Computed tomography of the spine — sagittal view — 11 vertebrae labeled in this scan
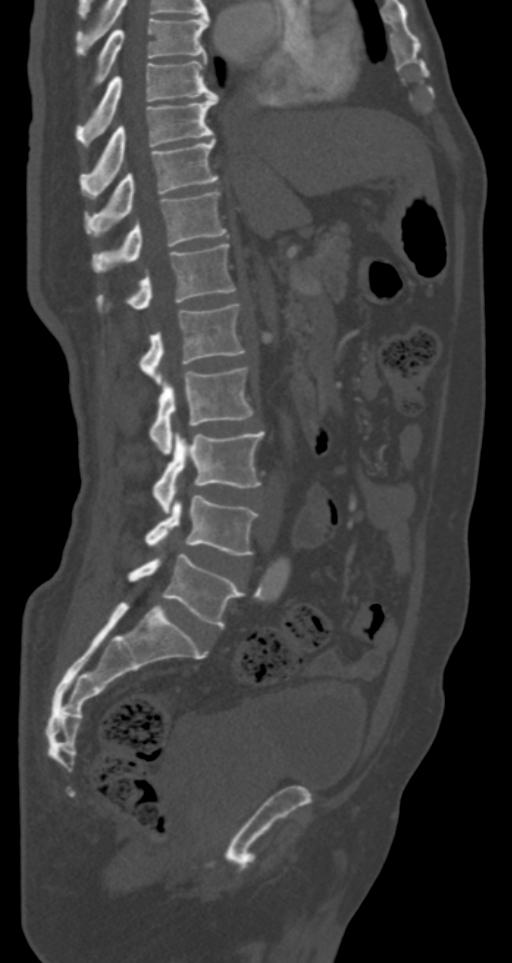
Coordinates as <box>x1,y1,x2,y2</box>. Vertebrae labeled: T7 at <box>94,17,209,84</box>, T8 at <box>76,60,218,145</box>, T9 at <box>82,94,218,191</box>, T10 at <box>85,139,218,236</box>, T11 at <box>92,191,227,271</box>, T12 at <box>96,244,236,312</box>, L1 at <box>139,303,245,384</box>, L2 at <box>149,367,254,454</box>, L3 at <box>153,431,264,512</box>, L4 at <box>144,496,257,555</box>, L5 at <box>128,554,243,627</box>.